CT, spine. 444 mm wide. Sagittal slice 219/444. scan covers 17 annotated vertebrae
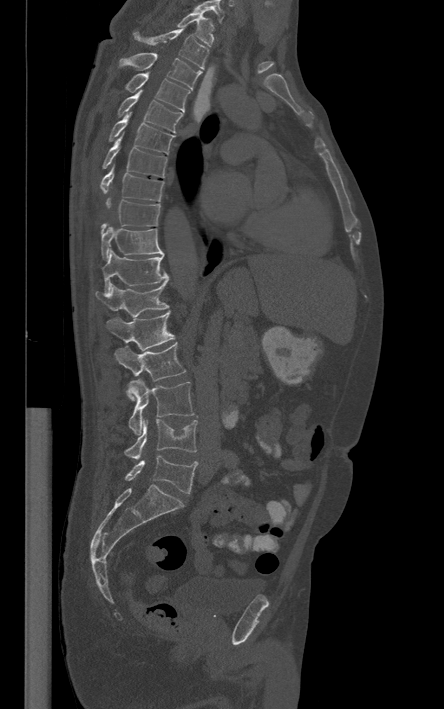
Each row gives a vertebra's box as x1, y1, x2, y2 in pixels: top-left corner, then bottom-right corner.
This scan's labels start at T1 at the top and end at L5 at the bottom.
| vertebra | x1 | y1 | x2 | y2 |
|---|---|---|---|---|
| T1 | 177 | 13 | 213 | 47 |
| T2 | 134 | 26 | 208 | 68 |
| T3 | 119 | 53 | 200 | 88 |
| T4 | 126 | 72 | 190 | 112 |
| T5 | 117 | 89 | 182 | 132 |
| T6 | 109 | 112 | 174 | 154 |
| T7 | 103 | 132 | 167 | 177 |
| T8 | 101 | 165 | 163 | 201 |
| T9 | 101 | 198 | 160 | 231 |
| T10 | 101 | 224 | 163 | 259 |
| T11 | 101 | 250 | 168 | 293 |
| T12 | 95 | 281 | 168 | 316 |
| L1 | 105 | 311 | 173 | 350 |
| L2 | 115 | 343 | 185 | 399 |
| L3 | 129 | 379 | 194 | 434 |
| L4 | 125 | 416 | 196 | 459 |
| L5 | 125 | 454 | 197 | 493 |